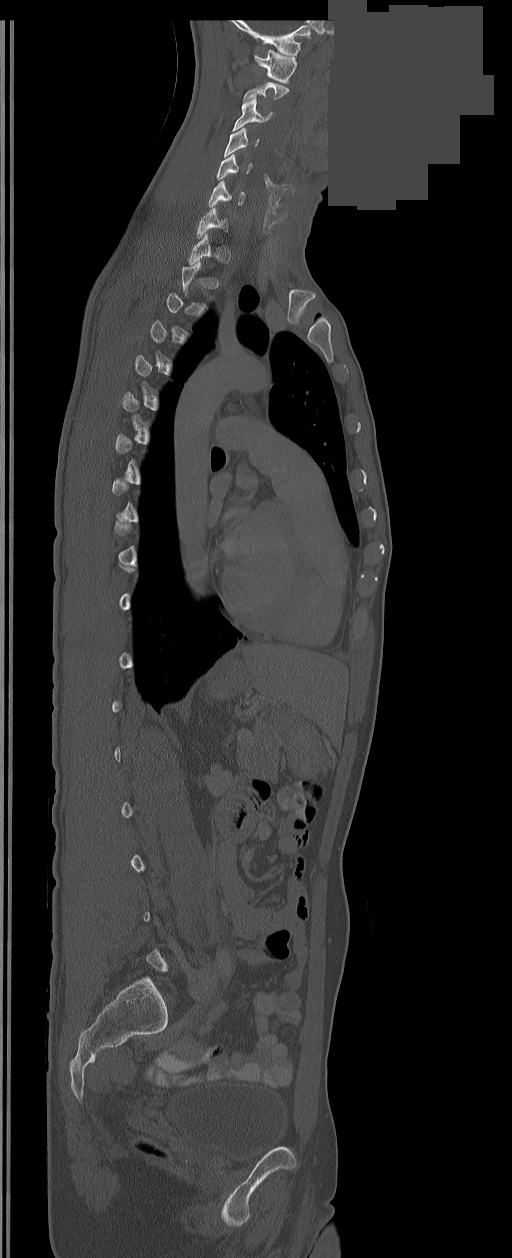 Computed tomography of the spine. sagittal view. 512x1258 px. some of the image was removed or blocked out with constant pixels
A vertebra gets a box only on the slices from the first to the last where its cross-section is at least a third of its largest; on a slice outside that range it gets none.
<vertebrae><v name="C7" x1="196" y1="208" x2="227" y2="238"/><v name="C6" x1="208" y1="180" x2="245" y2="207"/><v name="C5" x1="217" y1="154" x2="252" y2="179"/><v name="C4" x1="224" y1="127" x2="258" y2="156"/><v name="C3" x1="233" y1="96" x2="273" y2="131"/><v name="C1" x1="254" y1="50" x2="296" y2="83"/></vertebrae>